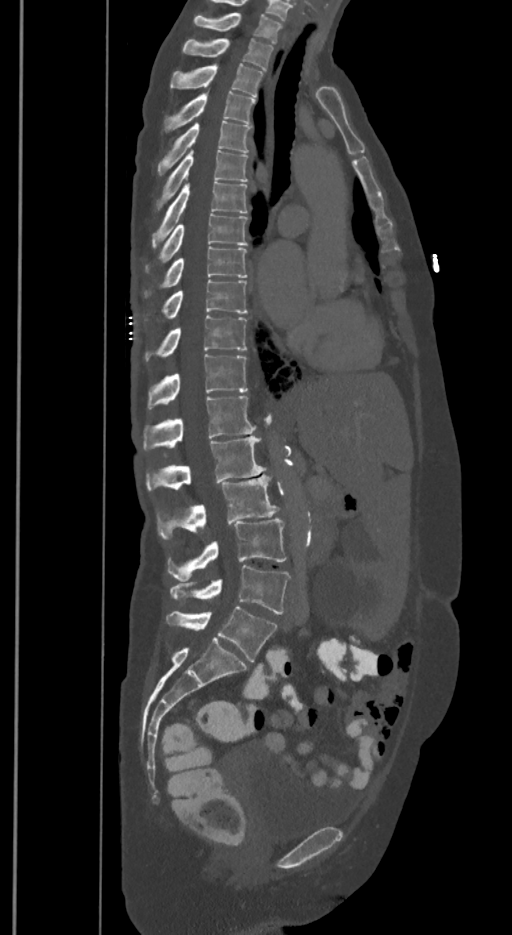

Spine computed tomography. sagittal view. 512x935 px
Boxes: x1 y1 x2 y2 (pixel coords, space-separated).
These labels give the spine a sixth lumbar vertebra, L6, below L5.
Vertebra bounding boxes:
- T1: 194 13 281 42
- T2: 183 38 272 71
- T3: 171 63 262 95
- T4: 165 91 255 131
- T5: 158 120 250 174
- T6: 156 149 247 210
- T7: 152 182 247 248
- T8: 145 213 247 272
- T9: 145 246 246 297
- T10: 161 279 246 318
- T11: 145 316 246 361
- T12: 148 354 247 408
- L1: 143 396 255 449
- L2: 146 436 265 490
- L3: 158 474 278 539
- L4: 168 517 285 580
- L5: 169 565 290 614
- L6: 167 606 277 661